Spine CT · Sagittal slice 208/444 · 444x709 px · scan covers 17 annotated vertebrae
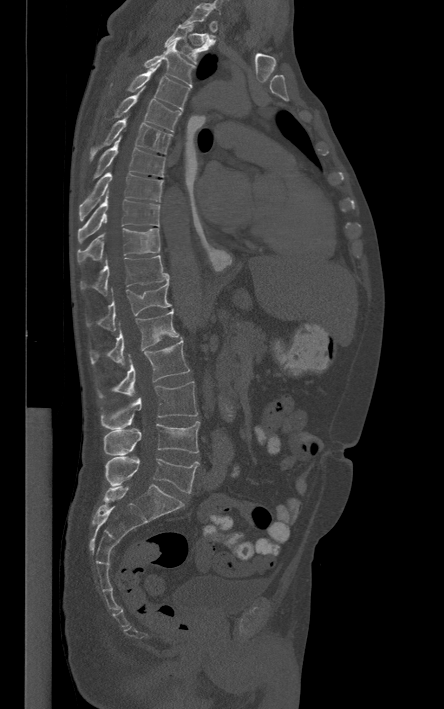

Not every vertebra on this slice has a box: a vertebra is boxed only from the first to the last slice where its cross-section is at least a third of its largest, and this slice is outside that range for at least one of them.
<vertebrae><v name="T2" x1="164" y1="23" x2="214" y2="64"/><v name="T3" x1="143" y1="40" x2="195" y2="86"/><v name="T4" x1="127" y1="63" x2="190" y2="110"/><v name="T5" x1="115" y1="87" x2="181" y2="131"/><v name="T6" x1="89" y1="116" x2="172" y2="163"/><v name="T7" x1="93" y1="135" x2="165" y2="178"/><v name="T8" x1="79" y1="173" x2="162" y2="219"/><v name="T9" x1="78" y1="192" x2="160" y2="241"/><v name="T10" x1="77" y1="228" x2="160" y2="262"/><v name="T11" x1="80" y1="255" x2="169" y2="295"/><v name="T12" x1="87" y1="281" x2="170" y2="331"/><v name="L1" x1="90" y1="309" x2="179" y2="366"/><v name="L2" x1="99" y1="339" x2="189" y2="398"/><v name="L3" x1="100" y1="381" x2="197" y2="429"/><v name="L4" x1="103" y1="421" x2="199" y2="455"/><v name="L5" x1="105" y1="456" x2="199" y2="493"/></vertebrae>